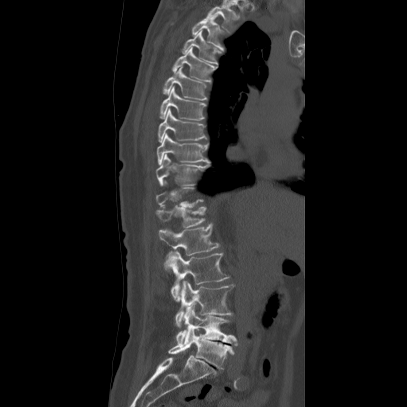
Spine computed tomography — sagittal view — the image spans 407 mm across

Boxes: x1:y1:x2:y2 in pixels. Each vertebra is boxed only on the slices from the first to the last where its cross-section reaches a third of its largest, so a slice outside that range leaves it unboxed. The labeled vertebrae in this slice are: T2 at 203:5:236:34, T3 at 169:15:228:50, T4 at 182:30:221:65, T5 at 171:47:217:82, T6 at 162:65:208:100, T7 at 159:86:206:120, T8 at 158:108:206:141, T9 at 156:132:209:164, T10 at 155:153:209:187, T12 at 154:205:206:227, L1 at 158:224:218:255, L2 at 164:250:228:300, L3 at 174:280:233:328, L4 at 176:304:237:346, L5 at 168:326:233:369.